Spine computed tomography — sagittal reformat — Bone window (WL 400, WW 1800) — 512x757 px — 11 vertebrae labeled in this scan
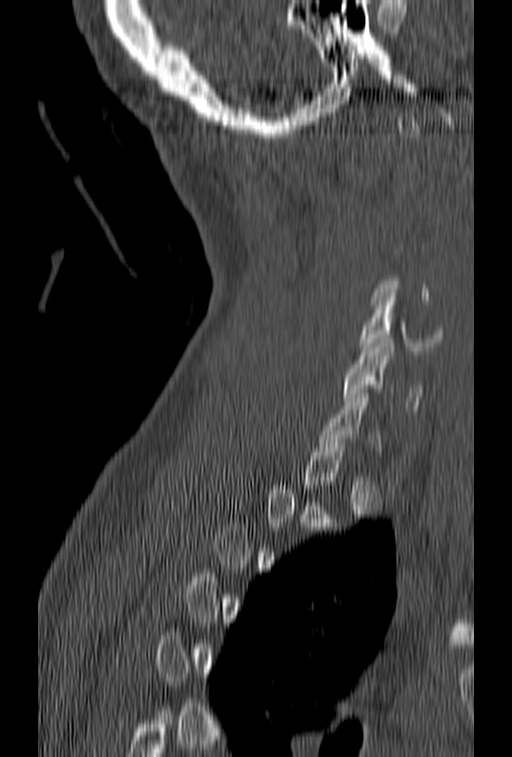
Coordinates as <box>x1,y1,x2,y2</box>.
Not every vertebra on this slice has a box: a vertebra is boxed only from the first to the last slice where its cross-section is at least a third of its largest, and this slice is outside that range for at least one of them.
Vertebra bounding boxes:
- C6: <box>343,339,422,413</box>
- C5: <box>359,293,443,355</box>